Spine computed tomography · Sagittal slice 66/152 · 152x195 px
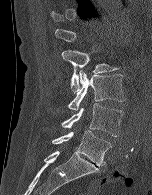
Boxes: x1 y1 x2 y2 (pixel coords, space-separated).
Each vertebra is boxed only on the slices from the first to the last where its cross-section reaches a third of its largest, so a slice outside that range leaves it unboxed.
L2: 61 50 118 93
L3: 67 69 125 110
L4: 61 103 123 136
L5: 52 130 111 166